CT spine; sagittal reformat; bone-window reconstruction; 536x664 px; 9 vertebrae labeled in this scan
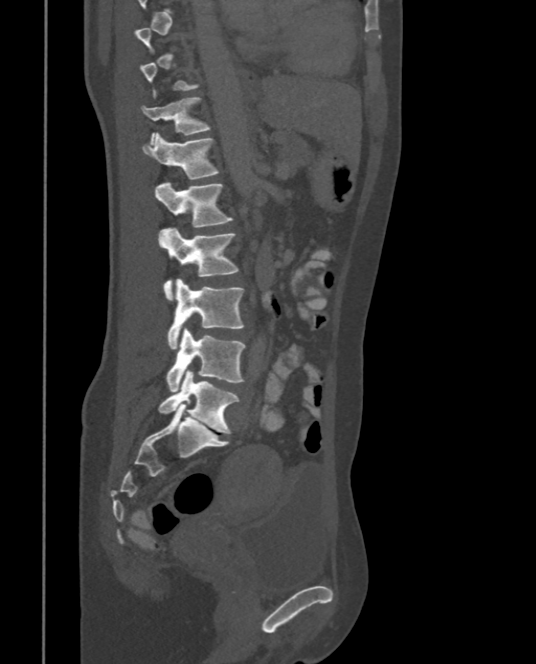 Box edges are left/top/right/bottom in pixels.
A vertebra is boxed only from the first to the last slice where its cross-section is at least a third of its largest; slices outside that range leave it without a box.
| vertebra | x1 | y1 | x2 | y2 |
|---|---|---|---|---|
| T11 | 141 | 97 | 211 | 144 |
| T12 | 142 | 133 | 220 | 179 |
| L1 | 156 | 181 | 233 | 227 |
| L2 | 158 | 227 | 239 | 302 |
| L3 | 167 | 278 | 245 | 349 |
| L4 | 165 | 328 | 245 | 392 |
| L5 | 158 | 370 | 239 | 433 |